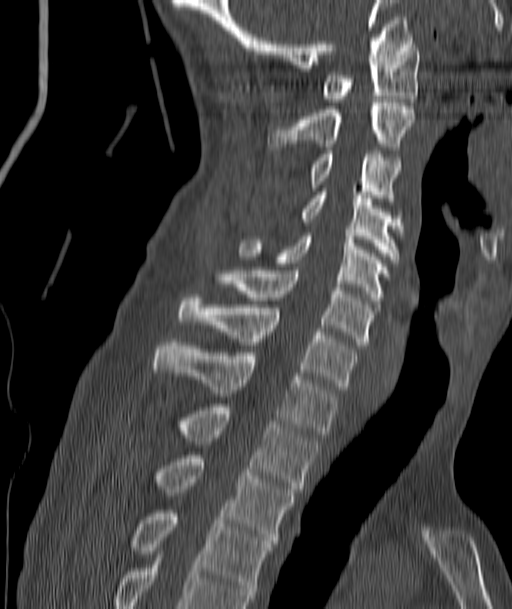
Spine computed tomography · sagittal view · W/L 1800/400 HU. Boxes are (x1, y1, x2, y2) in pixels.
T4: (132, 510, 274, 601)
T3: (157, 455, 293, 543)
T2: (179, 407, 317, 492)
T1: (154, 342, 337, 437)
C7: (179, 294, 356, 389)
C6: (217, 270, 372, 345)
C5: (239, 233, 389, 300)
C4: (299, 188, 402, 259)
C3: (310, 151, 400, 204)
C2: (269, 99, 415, 150)
C1: (321, 41, 419, 102)